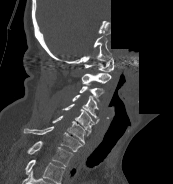
CT, spine. sagittal reformat. W/L 1800/400 HU. 173 mm wide. part of the scan has been removed (filled with constant black)
Labels in this scan begin with C1 at the top and end with T1 at the bottom.
<vertebrae><v name="C1" x1="84" y1="57" x2="113" y2="71"/><v name="C2" x1="81" y1="73" x2="111" y2="83"/><v name="C3" x1="79" y1="84" x2="104" y2="101"/><v name="C4" x1="72" y1="94" x2="99" y2="120"/><v name="C5" x1="62" y1="104" x2="98" y2="132"/><v name="C6" x1="52" y1="115" x2="90" y2="144"/><v name="C7" x1="23" y1="126" x2="82" y2="151"/><v name="T1" x1="27" y1="141" x2="73" y2="166"/></vertebrae>